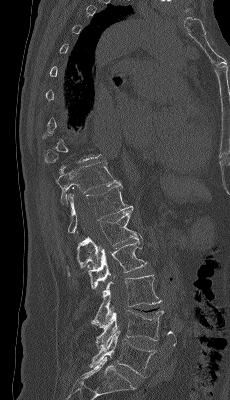

Computed tomography of the spine · sagittal reformat · 230 mm image width · 230x400 px

Each box is [x1, y1, x2, y2] in pixels: top-left corner, then bottom-right corner.
Each vertebra is boxed only on the slices from the first to the last where its cross-section reaches a third of its largest, so a slice outside that range leaves it unboxed.
{"vertebrae":{"T11":[56,162,120,205],"T12":[67,183,133,233],"L1":[67,210,138,275],"L2":[88,234,147,288],"L3":[91,275,161,327],"L4":[95,310,163,348],"L5":[90,329,156,377]}}